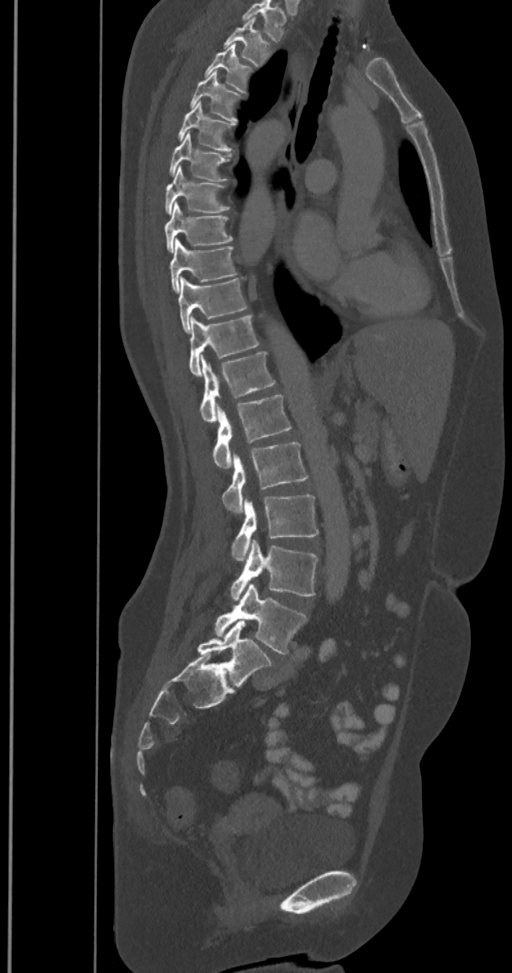

CT, spine — sagittal view
Box edges are left/top/right/bottom in pixels.
In this scan, the topmost labeled vertebra is T2 and the lowest is L6.
The labels name a sixth lumbar vertebra for this spine: L6, after L5.
| vertebra | x1 | y1 | x2 | y2 |
|---|---|---|---|---|
| T2 | 224 | 18 | 271 | 66 |
| T3 | 205 | 45 | 252 | 92 |
| T4 | 190 | 71 | 242 | 123 |
| T5 | 177 | 101 | 234 | 152 |
| T6 | 168 | 132 | 230 | 181 |
| T7 | 165 | 166 | 230 | 215 |
| T8 | 164 | 203 | 233 | 252 |
| T9 | 169 | 238 | 236 | 291 |
| T10 | 178 | 276 | 246 | 333 |
| T11 | 188 | 315 | 258 | 376 |
| T12 | 200 | 352 | 275 | 422 |
| L1 | 212 | 395 | 291 | 469 |
| L2 | 222 | 442 | 307 | 512 |
| L3 | 231 | 495 | 318 | 561 |
| L4 | 229 | 540 | 318 | 601 |
| L5 | 215 | 585 | 306 | 653 |
| L6 | 197 | 621 | 272 | 686 |